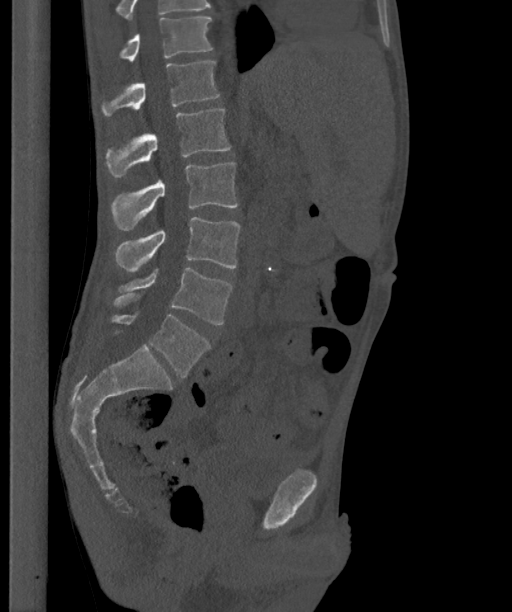 CT spine. sagittal view. bone window
Boxes: x1:y1:x2:y2 in pixels.
In this scan, the topmost labeled vertebra is T12 and the lowest is L6.
These labels give the spine a sixth lumbar vertebra, L6, below L5.
L6: 111:312:209:377
L5: 113:268:232:324
L4: 115:217:240:271
L3: 111:162:237:230
L2: 106:108:230:177
L1: 101:61:219:116
T12: 120:17:212:61